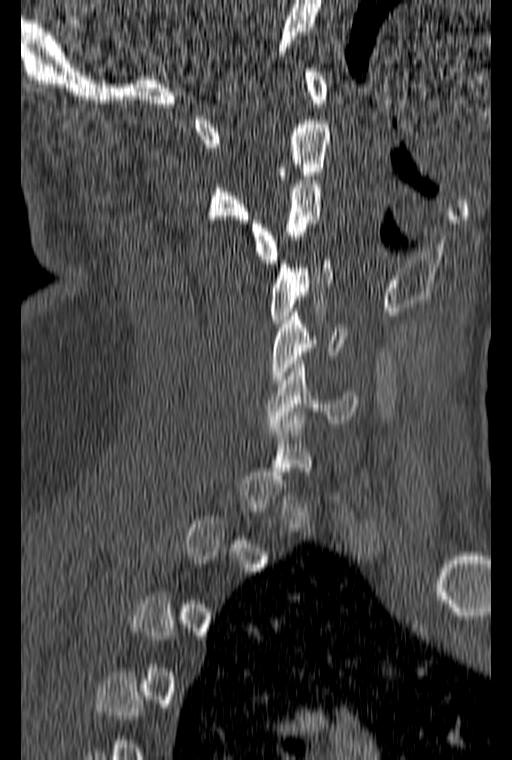
Computed tomography of the spine; sagittal view; 160 mm across the image; bone window
Each box given as x1,y1,x2,y2.
Not every vertebra on this slice has a box: a vertebra is boxed only from the first to the last slice where its cross-section is at least a third of its largest, and this slice is outside that range for at least one of them.
Vertebra bounding boxes:
- C1: x1=194, y1=68, x2=327, y2=147
- C2: x1=206, y1=120, x2=330, y2=223
- C3: x1=249, y1=176, x2=322, y2=263
- C4: x1=270, y1=256, x2=333, y2=323
- C5: x1=270, y1=312, x2=346, y2=383
- C6: x1=266, y1=356, x2=359, y2=427